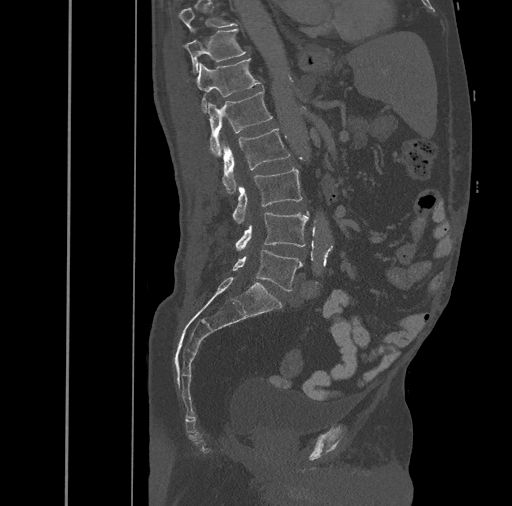
CT spine · sagittal reformat · Bone window (WL 400, WW 1800) · 512x506 px. Each row gives a vertebra's box as x1, y1, x2, y2 in pixels: top-left corner, then bottom-right corner.
Each vertebra is boxed only on the slices from the first to the last where its cross-section reaches a third of its largest, so a slice outside that range leaves it unboxed.
| vertebra | x1 | y1 | x2 | y2 |
|---|---|---|---|---|
| L5 | 232 | 249 | 302 | 291 |
| L4 | 235 | 211 | 309 | 250 |
| L3 | 232 | 168 | 302 | 223 |
| L2 | 222 | 128 | 290 | 193 |
| L1 | 208 | 91 | 272 | 155 |
| T12 | 196 | 58 | 261 | 112 |
| T11 | 183 | 28 | 246 | 74 |